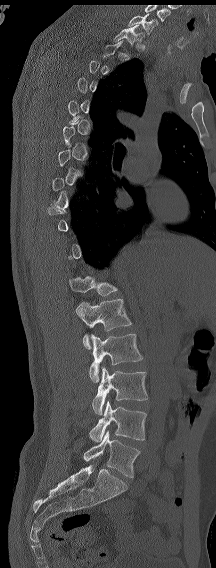

CT, spine · sagittal view · 216x568 px
Each box is [x1, y1, x2, y2] in pixels: top-left corner, then bottom-right corner.
Not every vertebra on this slice has a box: a vertebra is boxed only from the first to the last slice where its cross-section is at least a third of its largest, and this slice is outside that range for at least one of them.
The highest labeled vertebra in this scan is C7; the lowest is L6.
The labels name a sixth lumbar vertebra for this spine: L6, after L5.
{"vertebrae":{"L6":[83,430,140,477],"L5":[89,400,146,442],"L4":[92,367,147,415],"L3":[89,334,142,382],"L2":[76,299,132,348],"L1":[69,276,117,296],"T1":[113,25,144,46],"C7":[128,14,158,34]}}